CT spine — sagittal reformat — bone window — 512x1010 px — the image spans 140 mm across
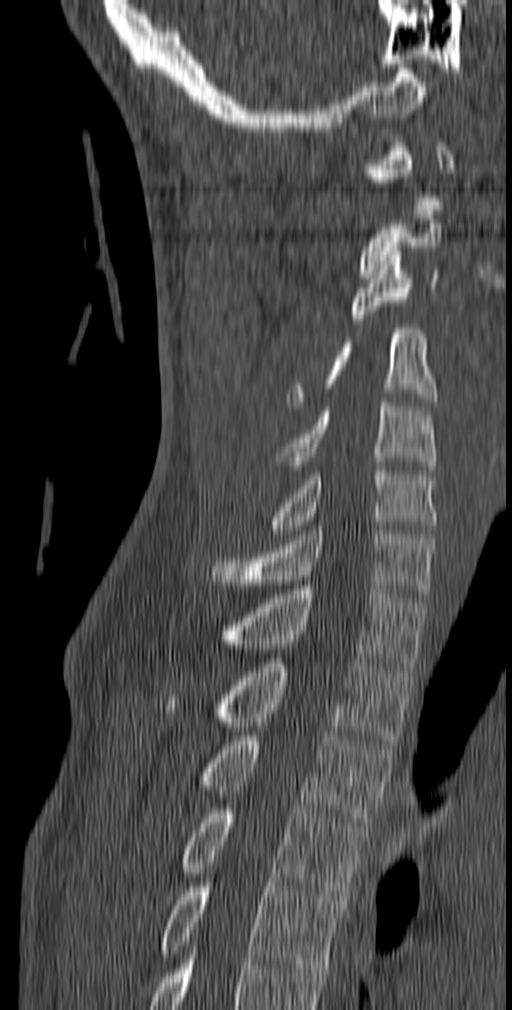
<vertebrae><v name="T5" x1="159" y1="878" x2="344" y2="973"/><v name="T4" x1="181" y1="809" x2="367" y2="900"/><v name="T3" x1="199" y1="736" x2="393" y2="826"/><v name="T2" x1="165" y1="658" x2="412" y2="744"/><v name="T1" x1="221" y1="585" x2="425" y2="671"/><v name="C7" x1="211" y1="526" x2="436" y2="598"/><v name="C6" x1="270" y1="466" x2="436" y2="534"/><v name="C5" x1="276" y1="398" x2="436" y2="474"/><v name="C4" x1="287" y1="325" x2="438" y2="410"/><v name="C3" x1="349" y1="247" x2="439" y2="324"/><v name="C2" x1="359" y1="210" x2="441" y2="278"/><v name="C1" x1="366" y1="142" x2="454" y2="205"/></vertebrae>